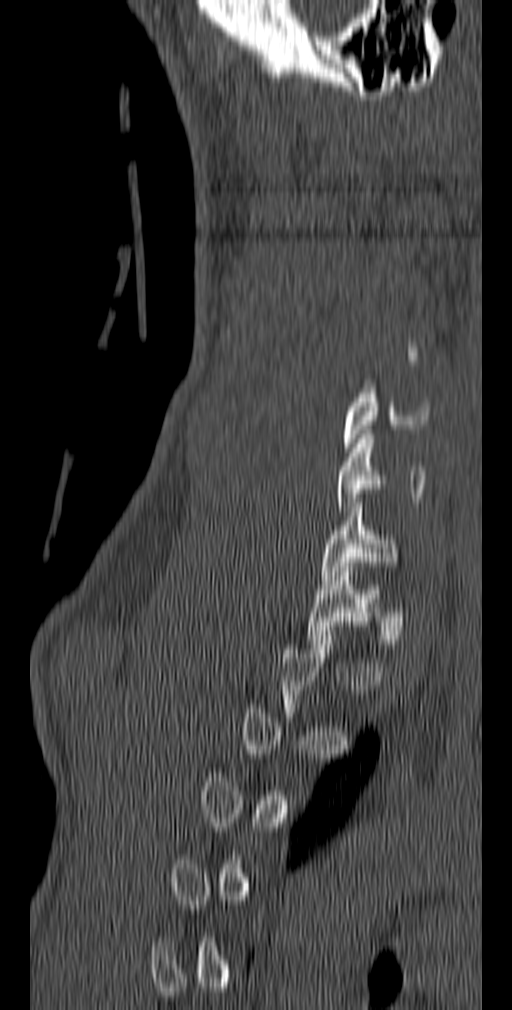
Spine CT; image 140 mm wide; sagittal view; bone-window reconstruction
Bounding boxes as [x1, y1, x2, y2] in pixel coordinates.
A vertebra gets a box only on the slices from the first to the last where its cross-section is at least a third of its largest; on a slice outside that range it gets none.
Vertebra bounding boxes:
- T1: [306, 562, 380, 648]
- C7: [320, 498, 398, 580]
- C6: [337, 430, 425, 516]
- C5: [342, 389, 430, 452]